Spine computed tomography — sagittal view — Bone window (WL 400, WW 1800) — 512x612 px — scan covers 7 annotated vertebrae
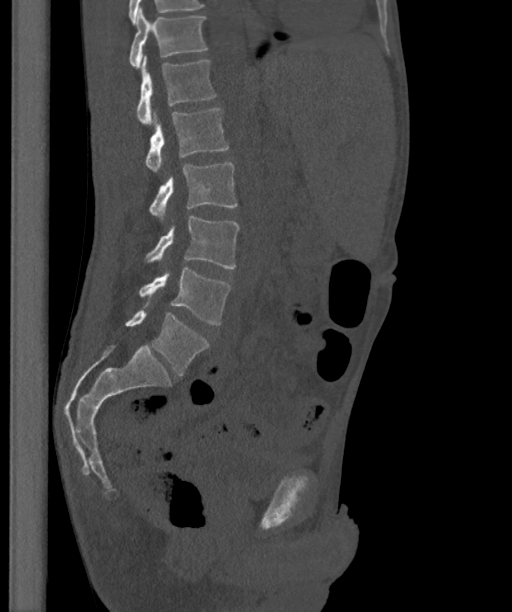 These labels give the spine a sixth lumbar vertebra, L6, below L5.
<vertebrae><v name="T12" x1="129" y1="8" x2="208" y2="68"/><v name="L1" x1="136" y1="56" x2="216" y2="125"/><v name="L2" x1="145" y1="108" x2="229" y2="172"/><v name="L3" x1="149" y1="162" x2="237" y2="217"/><v name="L4" x1="144" y1="216" x2="239" y2="268"/><v name="L5" x1="139" y1="268" x2="230" y2="324"/><v name="L6" x1="125" y1="310" x2="209" y2="375"/></vertebrae>